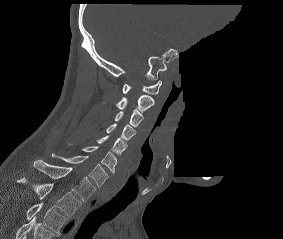
CT; sagittal reformat; image 283 mm wide; bone-window reconstruction; a portion of the image is blanked out (constant pixel value)
Bounding boxes as [x1, y1, x2, y2] in pixel coordinates.
Labels in this scan begin with C1 at the top and end with T2 at the bottom.
Vertebra bounding boxes:
- T2: [16, 176, 81, 218]
- T1: [33, 160, 95, 201]
- C7: [52, 153, 108, 186]
- C6: [67, 143, 117, 173]
- C5: [96, 135, 127, 155]
- C4: [106, 123, 135, 140]
- C3: [114, 109, 143, 127]
- C2: [115, 95, 154, 112]
- C1: [122, 80, 161, 94]